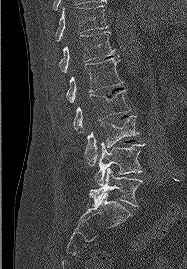

CT, spine. sagittal view. W/L 1800/400 HU
Boxes: x1 y1 x2 y2 (pixel coords, space-separated).
Vertebra bounding boxes:
- T11: 55 5 108 41
- T12: 59 31 118 74
- L1: 66 58 123 102
- L2: 73 90 130 133
- L3: 84 116 139 165
- L4: 95 142 144 185
- L5: 89 168 142 206